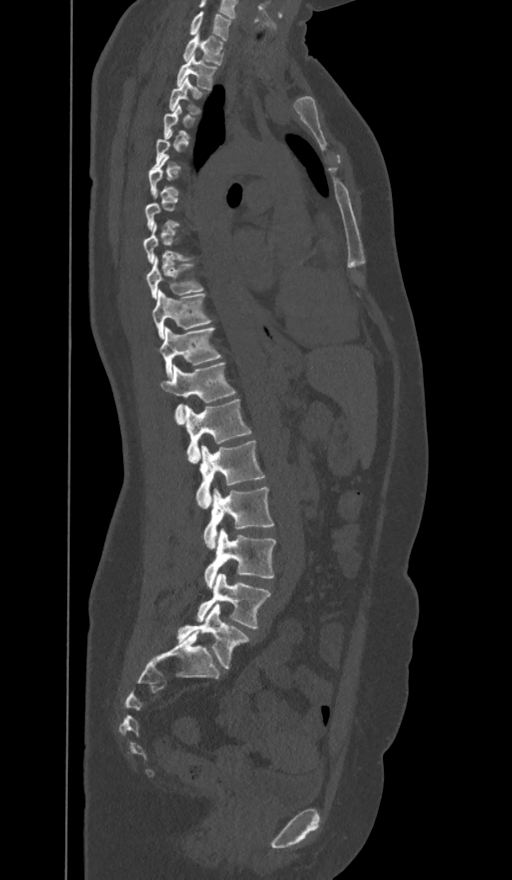
Computed tomography of the spine · sagittal view · the image spans 374 mm across · W/L 1800/400 HU
Boxes: x1:y1:x2:y2 in pixels.
A vertebra gets a box only on the slices from the first to the last where its cross-section is at least a third of its largest; on a slice outside that range it gets none.
In these labels the spine has an L6, a sixth lumbar vertebra below L5.
C7: 190:12:230:40
T1: 183:32:222:64
T2: 176:54:215:89
T3: 170:78:201:114
T9: 146:258:203:298
T10: 152:290:210:338
T11: 159:328:221:376
T12: 160:362:234:423
L1: 185:399:251:462
L2: 196:440:264:508
L3: 204:487:274:547
L4: 205:529:275:587
L5: 197:573:270:629
L6: 177:604:248:668